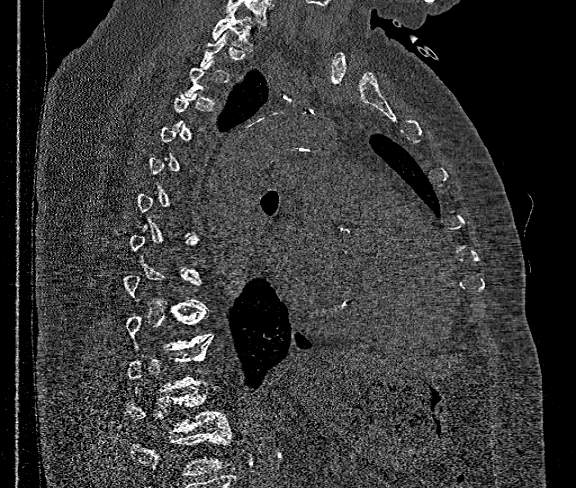

Computed tomography of the spine · sagittal view
A vertebra gets a box only on the slices from the first to the last where its cross-section is at least a third of its largest; on a slice outside that range it gets none.
No box is given to a vertebra that the bottom edge of the scan cuts off.
<vertebrae><v name="T1" x1="211" y1="8" x2="253" y2="51"/><v name="T12" x1="126" y1="391" x2="228" y2="433"/></vertebrae>